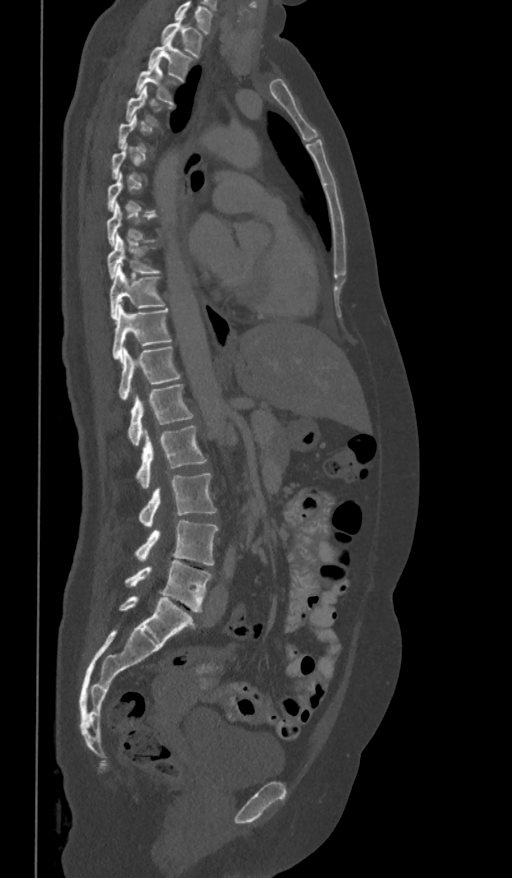

Spine CT. sagittal view. bone-window reconstruction. 512x878 px
Each box given as x1,y1,x2,y2.
Each vertebra is boxed only on the slices from the first to the last where its cross-section reaches a third of its largest, so a slice outside that range leaves it unboxed.
In this scan, the topmost labeled vertebra is T1 and the lowest is L5.
T1: x1=161, y1=18, x2=203, y2=58
T2: x1=148, y1=34, x2=193, y2=81
T3: x1=135, y1=60, x2=176, y2=105
T4: x1=125, y1=87, x2=172, y2=125
T9: x1=108, y1=235, x2=160, y2=279
T10: x1=109, y1=266, x2=165, y2=318
T11: x1=112, y1=304, x2=172, y2=360
T12: x1=119, y1=346, x2=180, y2=400
L1: x1=127, y1=384, x2=193, y2=446
L2: x1=136, y1=426, x2=207, y2=489
L3: x1=139, y1=472, x2=216, y2=527
L4: x1=135, y1=520, x2=219, y2=566
L5: x1=125, y1=560, x2=212, y2=612